Computed tomography of the spine · Sagittal slice 22/52 · 186 mm across the image
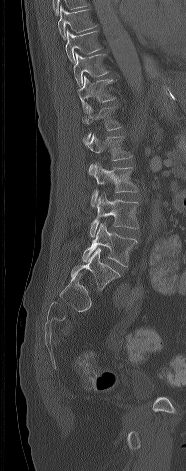

Boxes: x1:y1:x2:y2 in pixels.
Vertebra bounding boxes:
- T8: 58:5:95:40
- T9: 65:29:102:63
- T10: 73:52:108:86
- T11: 77:75:115:113
- T12: 82:105:122:140
- L1: 83:134:131:174
- L2: 90:164:137:206
- L3: 90:194:138:236
- L4: 82:223:137:266
- L5: 71:248:120:289